Computed tomography of the spine · 140 mm wide · Sagittal slice 208/512
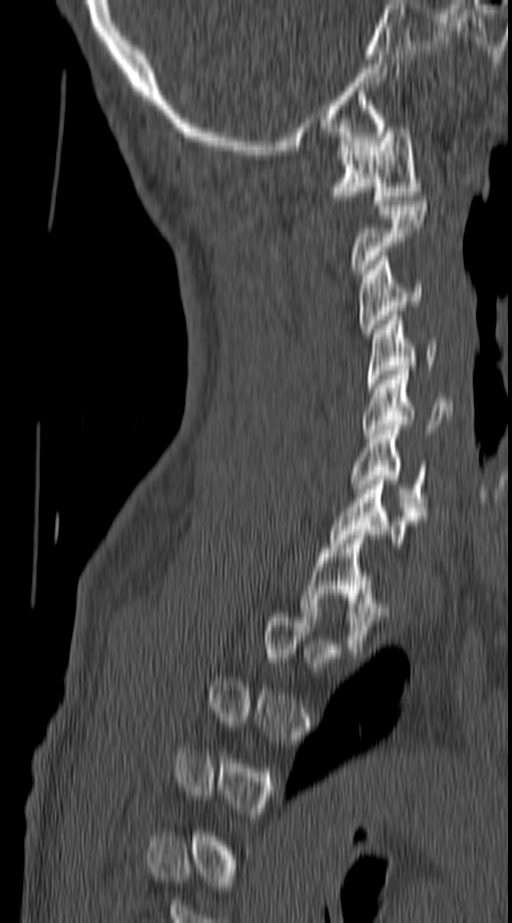
Each box given as x1,y1,x2,y2. A vertebra is boxed only from the first to the last slice where its cross-section is at least a third of its largest; slices outside that range leave it without a box. The labeled vertebrae in this slice are: C1 at x1=330, y1=123, x2=421, y2=205, C2 at x1=349, y1=201, x2=428, y2=273, C3 at x1=358, y1=256, x2=423, y2=333, C4 at x1=367, y1=315, x2=437, y2=388, C5 at x1=363, y1=370, x2=453, y2=438, C6 at x1=350, y1=425, x2=426, y2=511, C7 at x1=330, y1=480, x2=426, y2=548, T1 at x1=300, y1=530, x2=388, y2=653.